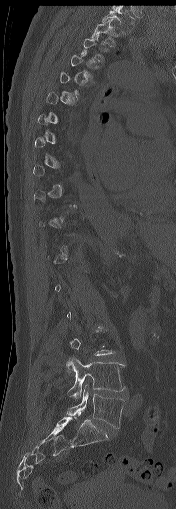
Spine CT — image 176 mm wide — sagittal reformat — 176x509 px
Each vertebra is boxed only on the slices from the first to the last where its cross-section reaches a third of its largest, so a slice outside that range leaves it unboxed.
<vertebrae><v name="T1" x1="102" y1="8" x2="135" y2="33"/><v name="T2" x1="92" y1="19" x2="115" y2="44"/><v name="L4" x1="66" y1="355" x2="125" y2="399"/><v name="L5" x1="67" y1="389" x2="124" y2="428"/></vertebrae>